Computed tomography of the spine · sagittal plane, index 317 · bone-window reconstruction · scan covers 19 annotated vertebrae
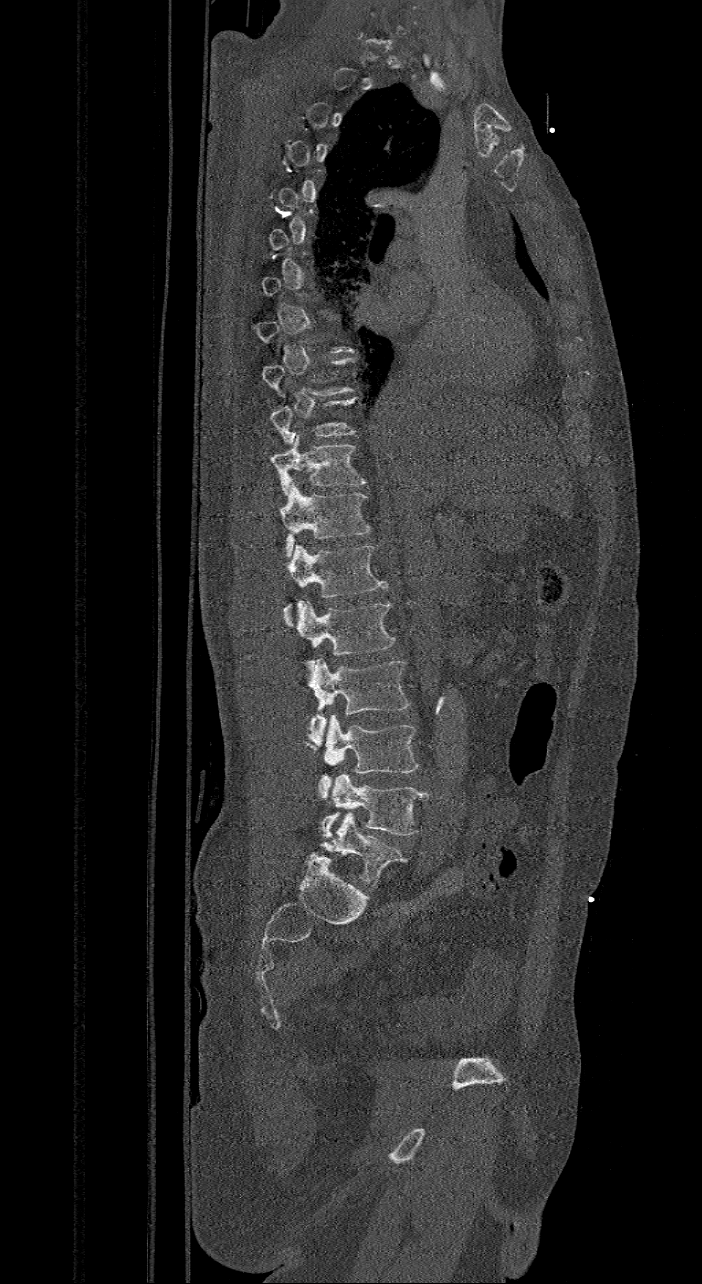 Columns x1, y1, x2, y2 give each box's top-left and bottom-right pixels.
A vertebra gets a box only on the slices from the first to the last where its cross-section is at least a third of its largest; on a slice outside that range it gets none.
These labels give the spine a sixth lumbar vertebra, L6, below L5.
| vertebra | x1 | y1 | x2 | y2 |
|---|---|---|---|---|
| T10 | 270 | 397 | 357 | 443 |
| T11 | 271 | 432 | 365 | 495 |
| T12 | 280 | 482 | 370 | 557 |
| L1 | 284 | 545 | 387 | 626 |
| L2 | 296 | 600 | 395 | 655 |
| L3 | 304 | 658 | 409 | 745 |
| L4 | 308 | 714 | 418 | 800 |
| L5 | 321 | 773 | 429 | 837 |
| L6 | 303 | 813 | 407 | 887 |